Computed tomography of the spine; sagittal plane, index 253; an area of the scan was removed and filled with constant pixels
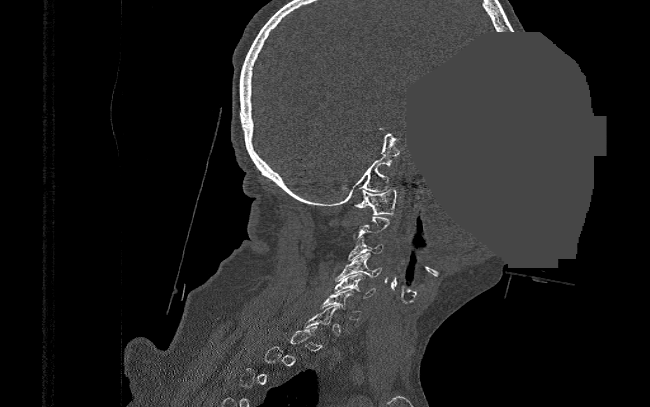

Boxes below are [x1, y1, x2, y2] in pixels.
Not every vertebra on this slice has a box: a vertebra is boxed only from the first to the last slice where its cross-section is at least a third of its largest, and this slice is outside that range for at least one of them.
{"vertebrae":{"C6":[321,289,361,319],"C5":[330,273,375,297],"C4":[335,253,381,280],"C3":[348,236,382,260],"C1":[354,189,396,215]}}